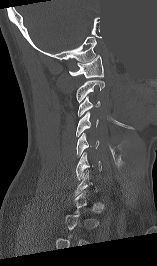 CT. sagittal view. 157 mm across the image. 157x266 px. some of the image was removed or blocked out with constant pixels
Bounding boxes as [x1, y1, x2, y2] in pixel coordinates.
A vertebra gets a box only on the slices from the first to the last where its cross-section is at least a third of its largest; on a slice outside that range it gets none.
Vertebra bounding boxes:
- C1: [69, 55, 104, 78]
- C2: [76, 80, 104, 102]
- C3: [78, 96, 100, 116]
- C4: [76, 112, 98, 137]
- C5: [76, 133, 99, 158]
- C6: [76, 152, 101, 180]